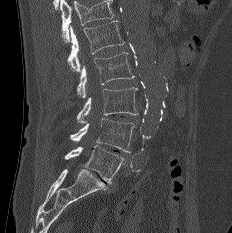 CT, spine · sagittal reformat
Each box given as x1,y1,x2,y2.
A vertebra cut off by the top edge of the scan is not labeled and has no box.
Vertebra bounding boxes:
- L1: x1=67, y1=20, x2=124, y2=71
- L2: x1=77, y1=52, x2=134, y2=98
- L3: x1=76, y1=87, x2=138, y2=123
- L4: x1=70, y1=118, x2=134, y2=152
- L5: x1=64, y1=145, x2=124, y2=184